CT spine. 140 mm image width. sagittal reformat. part of the image has been replaced by a constant value
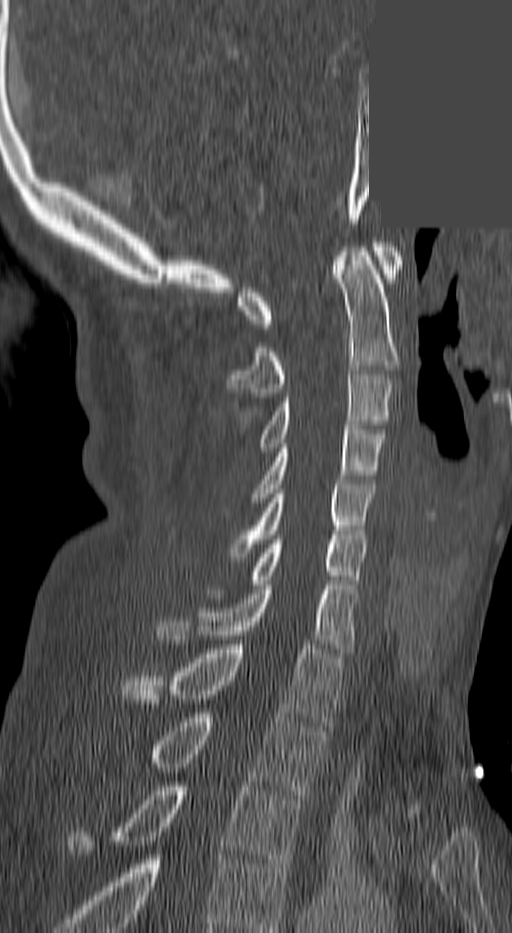
Coordinates as <box>x1,y1,x2,y2</box>. This scan's labels start at C1 at the top and end at T3 at the bottom. The labeled vertebrae in this slice are: C1 at <box>239,242,403,328</box>, C2 at <box>228,247,398,397</box>, C3 at <box>261,370,392,452</box>, C4 at <box>251,425,384,502</box>, C5 at <box>232,480,373,557</box>, C6 at <box>250,539,366,584</box>, C7 at <box>159,585,355,648</box>, T1 at <box>122,645,340,726</box>, T2 at <box>148,713,323,799</box>, T3 at <box>67,786,304,868</box>.